CT spine · the image spans 412 mm across · sagittal view · 9 vertebrae labeled in this scan
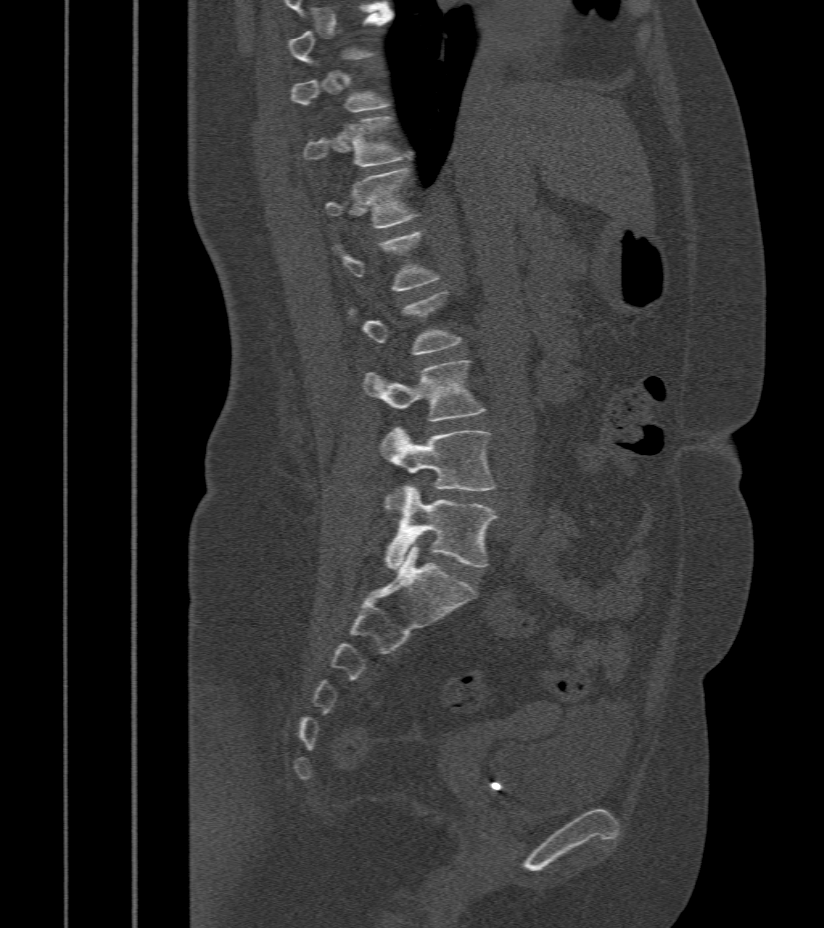 Each vertebra is boxed only on the slices from the first to the last where its cross-section reaches a third of its largest, so a slice outside that range leaves it unboxed.
<vertebrae><v name="T11" x1="304" y1="117" x2="411" y2="168"/><v name="T12" x1="323" y1="169" x2="417" y2="228"/><v name="L3" x1="364" y1="361" x2="485" y2="422"/><v name="L4" x1="380" y1="427" x2="495" y2="512"/><v name="L5" x1="383" y1="485" x2="496" y2="568"/></vertebrae>